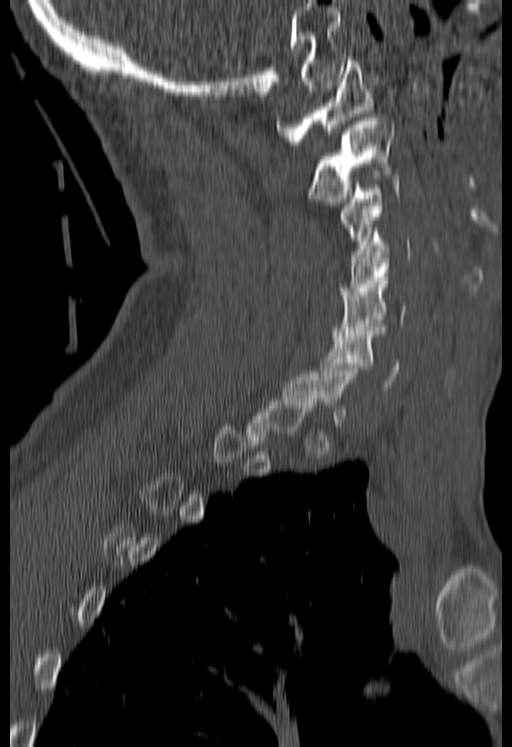

CT spine; sagittal view; bone-window reconstruction. Boxes: x1:y1:x2:y2 in pixels. Each vertebra is boxed only on the slices from the first to the last where its cross-section reaches a third of its largest, so a slice outside that range leaves it unboxed. Vertebrae labeled: C1 at 276:57:373:145, C2 at 308:117:392:205, C3 at 339:174:398:251, C4 at 340:231:410:298, C5 at 331:274:406:337, C6 at 319:327:399:387.